Computed tomography of the spine. sagittal reformat. scan covers 11 annotated vertebrae
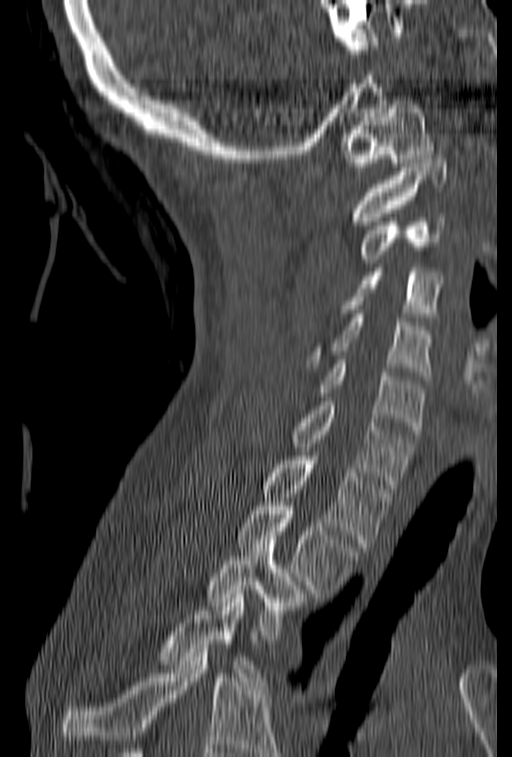

Where the bottom of the scan cuts through a vertebra, that vertebra gets no label or box.
<vertebrae><v name="T4" x1="155" y1="590" x2="265" y2="685"/><v name="T3" x1="205" y1="535" x2="308" y2="643"/><v name="T2" x1="237" y1="502" x2="358" y2="593"/><v name="T1" x1="264" y1="452" x2="392" y2="547"/><v name="C7" x1="289" y1="397" x2="412" y2="488"/><v name="C6" x1="316" y1="360" x2="425" y2="434"/><v name="C5" x1="307" y1="314" x2="432" y2="380"/><v name="C4" x1="339" y1="268" x2="442" y2="321"/><v name="C3" x1="359" y1="213" x2="445" y2="263"/><v name="C2" x1="349" y1="155" x2="449" y2="225"/><v name="C1" x1="340" y1="100" x2="434" y2="171"/></vertebrae>